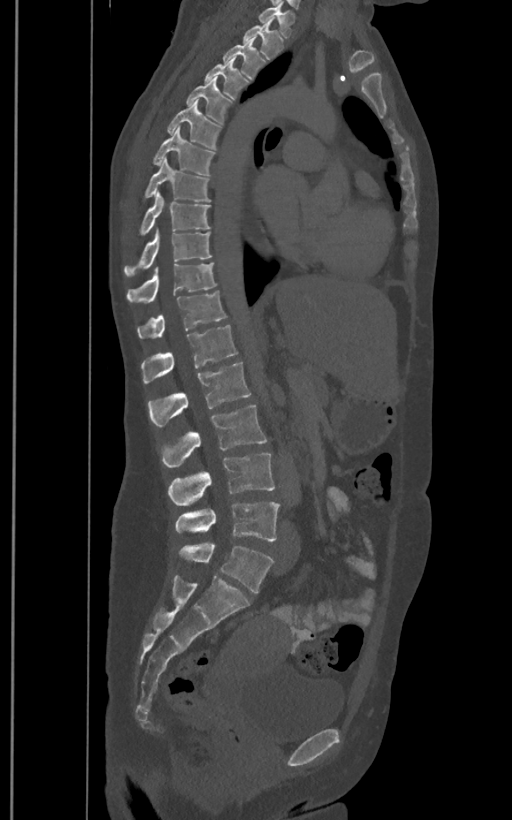

CT spine; sagittal reformat; bone window; 512x820 px

Coordinates as <box>x1,y1,x2,y2</box>.
The labels name a sixth lumbar vertebra for this spine: L6, after L5.
T1: <box>257,5,295,37</box>
T2: <box>243,18,283,59</box>
T3: <box>223,38,265,80</box>
T4: <box>203,56,250,100</box>
T5: <box>185,77,233,123</box>
T6: <box>166,100,222,149</box>
T7: <box>152,127,215,175</box>
T8: <box>143,158,211,201</box>
T9: <box>137,192,210,235</box>
T10: <box>124,230,213,277</box>
T11: <box>127,263,216,302</box>
T12: <box>137,290,227,338</box>
L1: <box>141,325,237,383</box>
L2: <box>148,362,251,426</box>
L3: <box>162,404,268,468</box>
L4: <box>168,453,275,506</box>
L5: <box>175,501,279,540</box>
L6: <box>178,543,274,592</box>